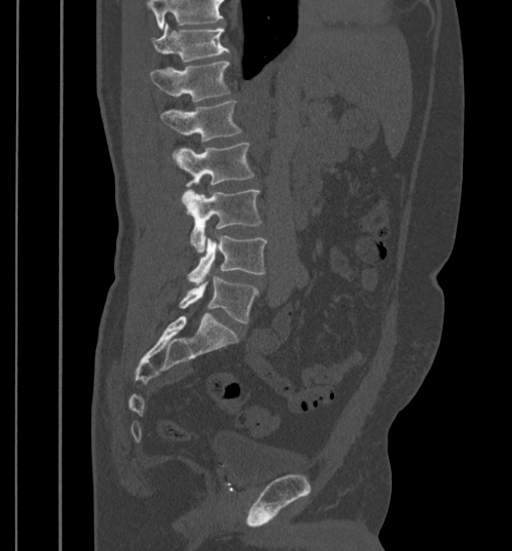
Spine computed tomography. sagittal view. image width 399 mm
Box values are [left, top, right, bottom] in pixels.
Vertebrae that run past the top of the scan are left unlabeled.
{"vertebrae":{"T11":[151,23,230,62],"T12":[150,62,230,102],"L1":[160,100,241,141],"L2":[172,142,254,199],"L3":[183,190,262,252],"L4":[187,236,267,284],"L5":[178,275,258,323]}}